Spine CT · sagittal view · W/L 1800/400 HU · scan covers 9 annotated vertebrae
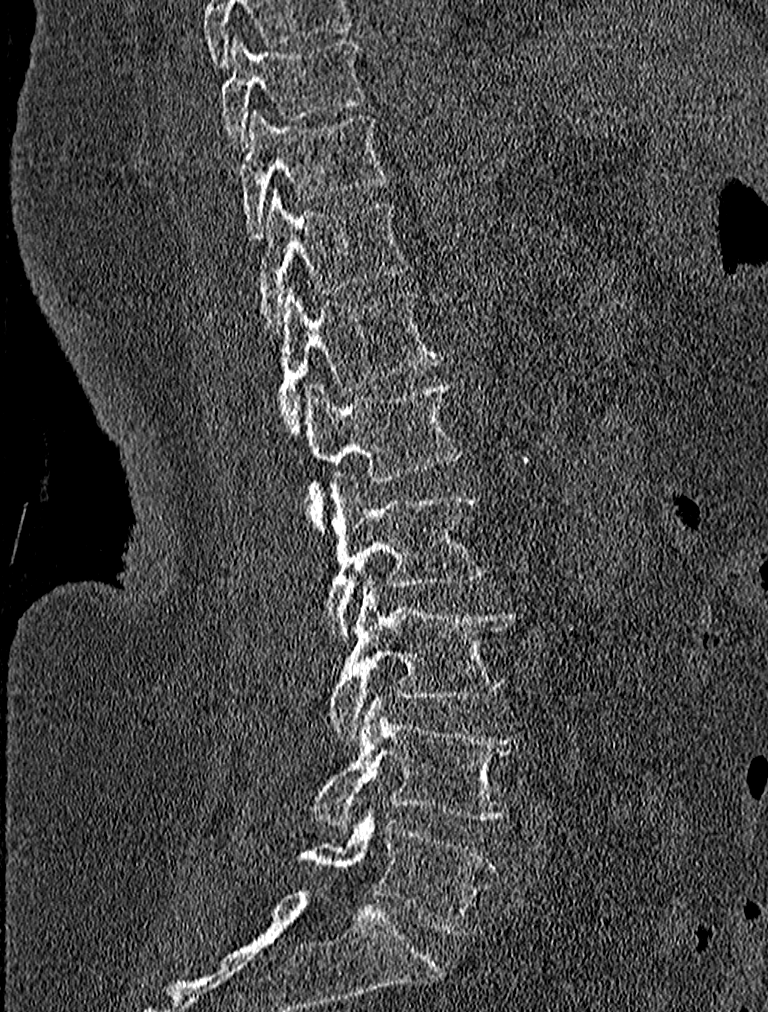

In the table, x1 and y1 are a box's top-left corner and x2 and y2 its bottom-right corner, in pixels.
| vertebra | x1 | y1 | x2 | y2 |
|---|---|---|---|---|
| T9 | 219 | 33 | 367 | 148 |
| T10 | 239 | 111 | 390 | 237 |
| T11 | 254 | 187 | 407 | 331 |
| T12 | 276 | 286 | 444 | 436 |
| L1 | 306 | 379 | 461 | 532 |
| L2 | 324 | 473 | 488 | 640 |
| L3 | 327 | 577 | 515 | 742 |
| L4 | 310 | 699 | 523 | 826 |
| L5 | 297 | 818 | 499 | 934 |